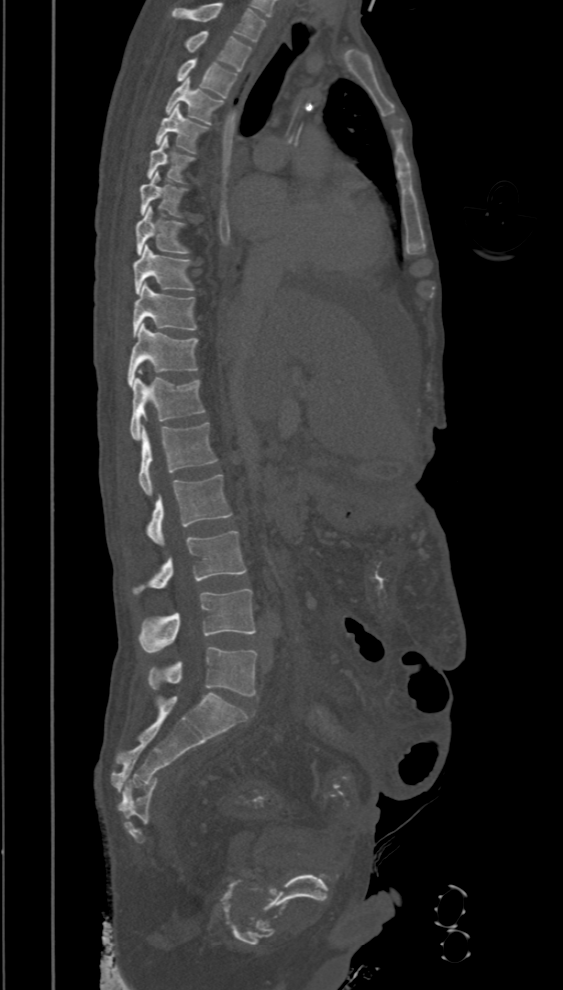

CT spine. sagittal view. bone-window reconstruction. 563x990 px
Boxes below are [x1, y1, x2, y2] in pixels.
Labels in this scan begin with T2 at the top and end with L5 at the bottom.
{"vertebrae":{"T2":[186,31,252,71],"T3":[177,57,238,98],"T4":[166,77,222,124],"T5":[155,105,206,152],"T6":[147,136,194,182],"T7":[140,173,183,215],"T8":[135,207,187,255],"T9":[133,245,194,294],"T10":[133,282,196,336],"T11":[129,323,198,386],"T12":[130,377,205,439],"L1":[139,422,218,495],"L2":[147,475,232,546],"L3":[132,530,246,594],"L4":[139,589,256,652],"L5":[148,647,257,696]}}